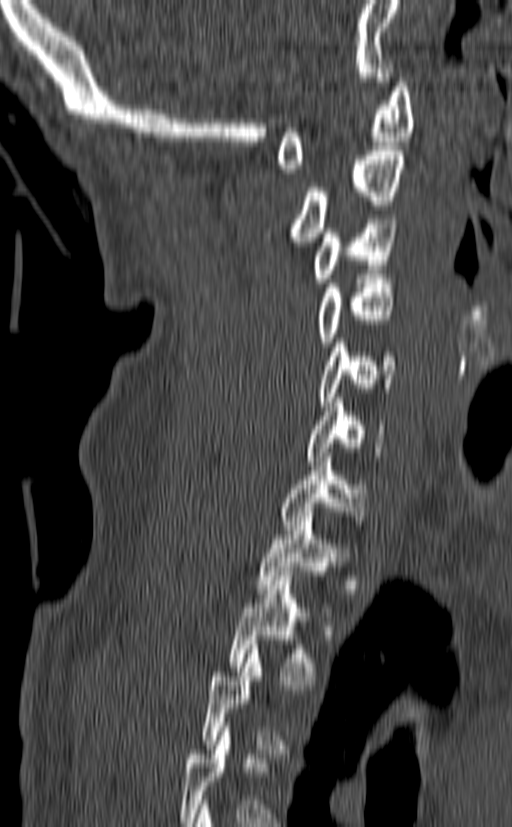 Spine CT — sagittal view — 512x827 px

Boxes: x1:y1:x2:y2 in pixels.
A vertebra gets a box only on the slices from the first to the last where its cross-section is at least a third of its largest; on a slice outside that range it gets none.
C1: 276:78:414:173
C2: 290:146:406:246
C3: 312:219:397:287
C4: 316:274:394:346
C5: 318:338:397:406
C6: 305:398:386:461
C7: 280:453:366:534
T1: 257:512:351:593
T2: 228:571:316:685